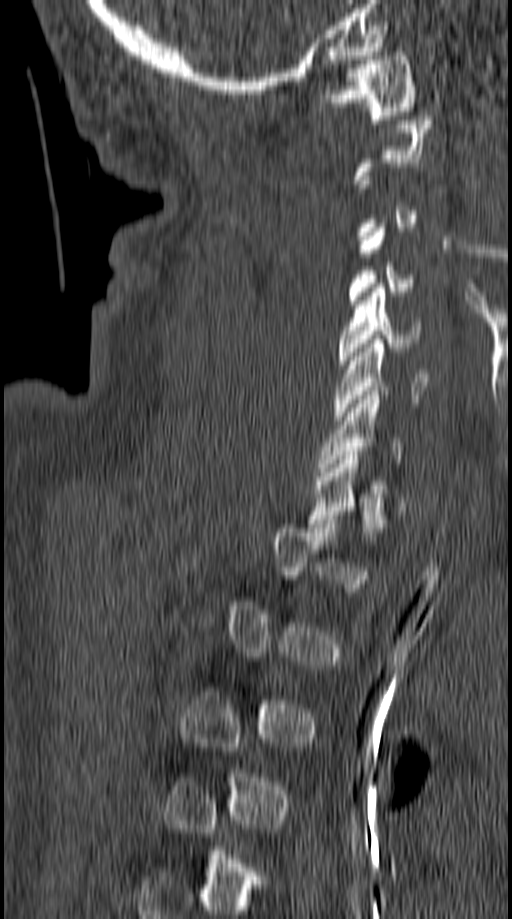

CT spine · sagittal view · 512x919 px

Each box given as x1,y1,x2,y2. Each vertebra is boxed only on the slices from the first to the last where its cross-section reaches a third of its largest, so a slice outside that range leaves it unboxed. 5 vertebrae labeled — C1 at x1=324, y1=52, x2=416, y2=119; C5 at x1=338, y1=283, x2=422, y2=364; C6 at x1=333, y1=339, x2=430, y2=420; C7 at x1=319, y1=387, x2=402, y2=471; T1 at x1=309, y1=451, x2=404, y2=532.